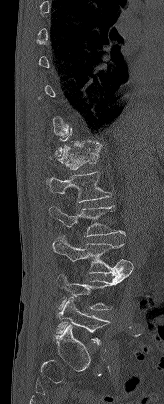

Computed tomography of the spine; sagittal view; bone-window reconstruction; 164x404 px

A vertebra is boxed only from the first to the last slice where its cross-section is at least a third of its largest; slices outside that range leave it without a box.
<vertebrae><v name="T12" x1="59" y1="145" x2="100" y2="169"/><v name="L1" x1="46" y1="172" x2="112" y2="202"/><v name="L2" x1="49" y1="205" x2="125" y2="236"/><v name="L3" x1="53" y1="236" x2="133" y2="275"/><v name="L4" x1="59" y1="271" x2="132" y2="310"/><v name="L5" x1="56" y1="297" x2="110" y2="344"/></vertebrae>